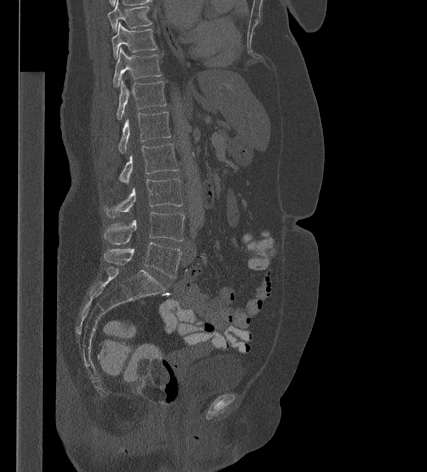

Spine computed tomography; sagittal reformat
Each box given as x1,y1,x2,y2.
| vertebra | x1 | y1 | x2 | y2 |
|---|---|---|---|---|
| T9 | 107 | 1 | 152 | 31 |
| T10 | 111 | 23 | 157 | 58 |
| T11 | 113 | 48 | 161 | 87 |
| T12 | 116 | 81 | 166 | 119 |
| L1 | 118 | 112 | 170 | 153 |
| L2 | 119 | 143 | 178 | 183 |
| L3 | 103 | 178 | 182 | 218 |
| L4 | 103 | 212 | 184 | 244 |
| L5 | 104 | 242 | 181 | 277 |